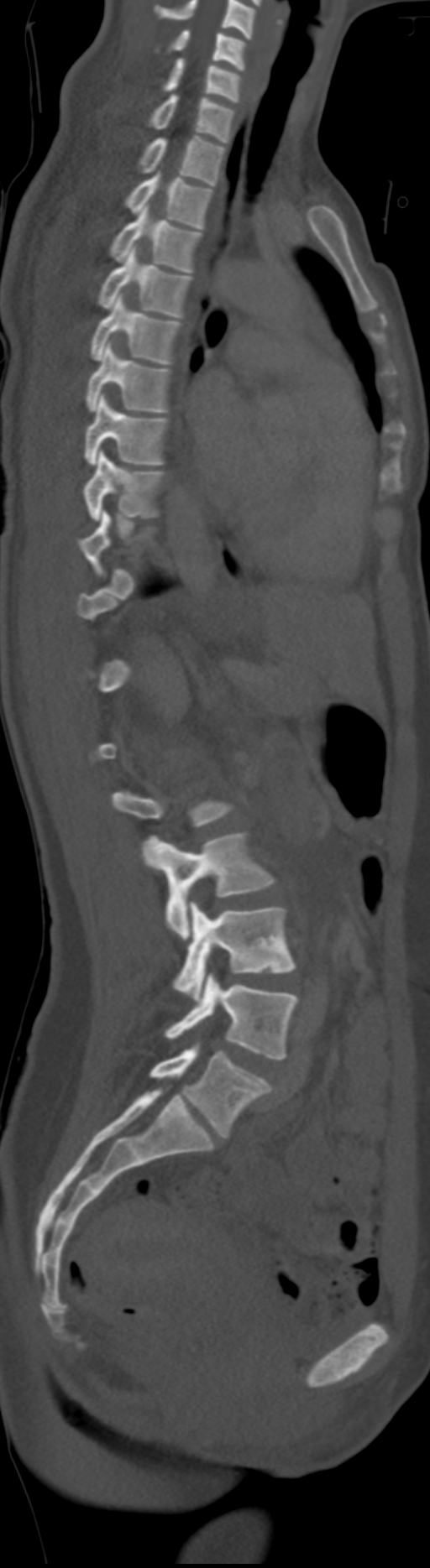

Spine computed tomography. sagittal reformat. 430x1568 px. the image spans 192 mm across. Bounding boxes as [x1, y1, x2, y2] in pixel coordinates.
Each vertebra is boxed only on the slices from the first to the last where its cross-section reaches a third of its largest, so a slice outside that range leaves it unboxed.
In this scan, the topmost labeled vertebra is C5 and the lowest is L6.
These labels give the spine a sixth lumbar vertebra, L6, below L5.
C5: [167, 30, 246, 70]
C6: [162, 58, 240, 102]
C7: [149, 95, 235, 143]
T1: [138, 135, 224, 185]
T2: [125, 173, 212, 228]
T3: [109, 206, 202, 273]
T4: [97, 247, 192, 317]
T5: [91, 296, 181, 364]
T6: [86, 340, 170, 411]
T7: [84, 394, 168, 465]
T8: [84, 451, 165, 520]
L3: [149, 833, 275, 939]
L4: [173, 902, 296, 1001]
L5: [165, 974, 298, 1060]
L6: [149, 1045, 271, 1136]